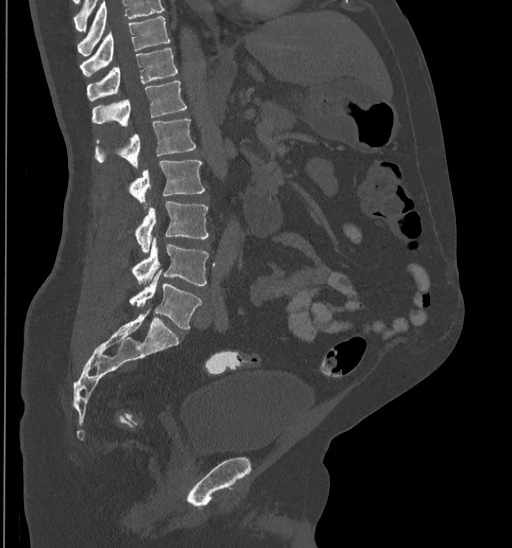 CT, spine; sagittal view; the image is 435 mm wide
Each row gives a vertebra's box as x1, y1, x2, y2 in pixels: top-left corner, then bottom-right corner.
A vertebra cut off by the top edge of the scan is not labeled and has no box.
| vertebra | x1 | y1 | x2 | y2 |
|---|---|---|---|---|
| L5 | 129 | 271 | 201 | 330 |
| L4 | 132 | 237 | 208 | 285 |
| L3 | 135 | 201 | 208 | 252 |
| L2 | 129 | 159 | 205 | 203 |
| L1 | 95 | 119 | 195 | 168 |
| T12 | 92 | 81 | 186 | 126 |
| T11 | 87 | 48 | 178 | 101 |
| T10 | 79 | 16 | 171 | 76 |